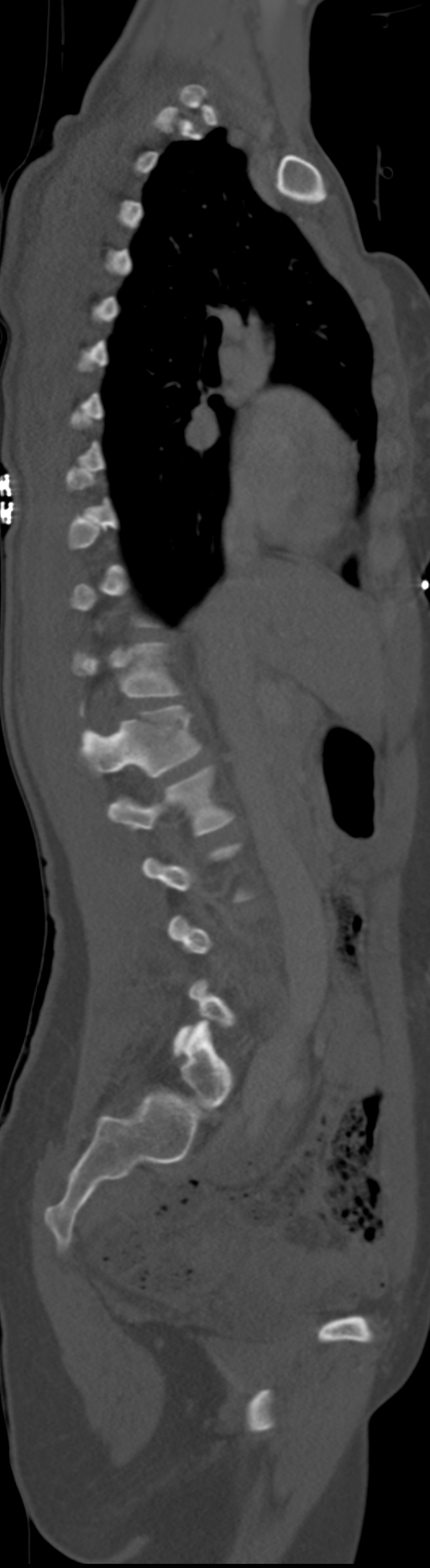
Computed tomography of the spine; sagittal view; 430x1568 px
Each vertebra maps to its box as [x1, y1, x2, y2], the pixel coordinates of its top-left and bottom-right corners.
Not every vertebra on this slice has a box: a vertebra is boxed only from the first to the last slice where its cross-section is at least a third of its largest, and this slice is outside that range for at least one of them.
These labels give the spine a sixth lumbar vertebra, L6, below L5. These labels give this spine no T12: after T11 the next vertebra is L1.
{"vertebrae":{"T11":[72,643,181,716],"L1":[81,706,202,776],"L2":[108,763,235,836],"L6":[180,1020,233,1107]}}